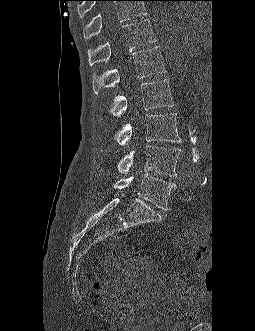
Spine CT. sagittal view. 255 mm image width. bone-window reconstruction. 255x331 px. Boxes: x1 y1 x2 y2 (pixel coords, space-separated).
A vertebra cut off by the top edge of the scan is not labeled and has no box.
T12: 88 18 156 65
L1: 92 46 165 94
L2: 99 79 174 119
L3: 113 113 180 145
L4: 100 145 180 176
L5: 98 173 176 210